Spine computed tomography — Sagittal slice 280/512 — 12 vertebrae labeled in this scan
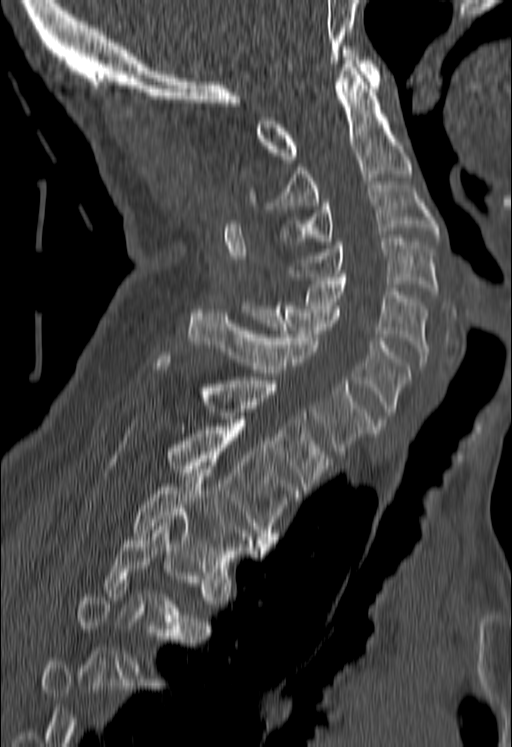

Boxes below are [x1, y1, x2, y2] in pixels.
A vertebra gets a box only on the slices from the first to the last where its cross-section is at least a third of its largest; on a slice outside that range it gets none.
{"vertebrae":{"C1":[255,46,380,159],"C2":[271,64,412,209],"C3":[280,185,438,244],"C4":[289,238,438,294],"C5":[305,277,429,369],"C6":[241,302,410,422],"C7":[188,309,373,454],"T1":[150,356,333,490],"T2":[166,423,301,547],"T3":[132,466,264,571],"T4":[103,523,210,639]}}